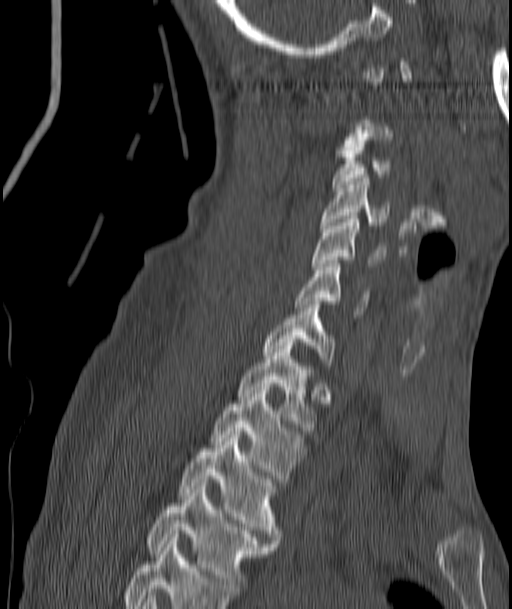
CT spine · sagittal view · bone window · 512x609 px
Not every vertebra on this slice has a box: a vertebra is boxed only from the first to the last slice where its cross-section is at least a third of its largest, and this slice is outside that range for at least one of them.
<vertebrae><v name="C3" x1="332" y1="147" x2="389" y2="191"/><v name="C4" x1="321" y1="178" x2="389" y2="228"/><v name="C5" x1="313" y1="216" x2="386" y2="269"/><v name="C6" x1="294" y1="264" x2="368" y2="314"/><v name="C7" x1="264" y1="301" x2="334" y2="369"/><v name="T1" x1="236" y1="339" x2="315" y2="430"/><v name="T2" x1="212" y1="387" x2="304" y2="482"/><v name="T3" x1="179" y1="431" x2="279" y2="543"/><v name="T4" x1="146" y1="486" x2="274" y2="591"/></vertebrae>